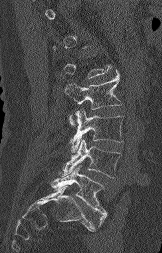
Spine CT · sagittal view · W/L 1800/400 HU · 162x253 px. Each box given as x1,y1,x2,y2.
Not every vertebra on this slice has a box: a vertebra is boxed only from the first to the last slice where its cross-section is at least a third of its largest, and this slice is outside that range for at least one of them.
Vertebra bounding boxes:
- L5: x1=51, y1=165, x2=106, y2=226
- L4: x1=59, y1=139, x2=121, y2=178
- L3: x1=70, y1=109, x2=124, y2=152
- L2: x1=64, y1=73, x2=121, y2=125